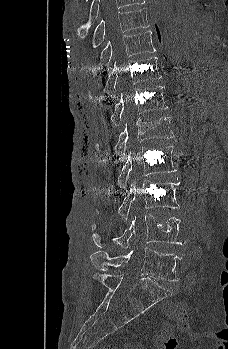 CT spine — sagittal view — Bone window (WL 400, WW 1800) — 228x349 px — the image is 228 mm wide

Box edges are left/top/right/bottom in pixels.
T9: left=92, top=8, right=149, bottom=47
T10: left=100, top=30, right=155, bottom=68
T11: left=87, top=57, right=162, bottom=99
T12: left=110, top=85, right=167, bottom=129
L1: left=95, top=116, right=175, bottom=156
L2: left=117, top=145, right=176, bottom=188
L3: left=95, top=174, right=180, bottom=222
L4: left=92, top=214, right=185, bottom=248
L5: left=90, top=247, right=181, bottom=281